Spine CT — the image spans 162 mm across — sagittal view — Bone window (WL 400, WW 1800) — scan covers 6 annotated vertebrae
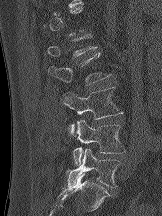

Each row gives a vertebra's box as x1, y1, x2, y2 in pixels: top-left corner, then bottom-right corner.
Each vertebra is boxed only on the slices from the first to the last where its cross-section reaches a third of its largest, so a slice outside that range leaves it unboxed.
| vertebra | x1 | y1 | x2 | y2 |
|---|---|---|---|---|
| L2 | 48 | 53 | 111 | 85 |
| L3 | 61 | 87 | 123 | 136 |
| L4 | 73 | 119 | 125 | 165 |
| L5 | 66 | 148 | 121 | 187 |